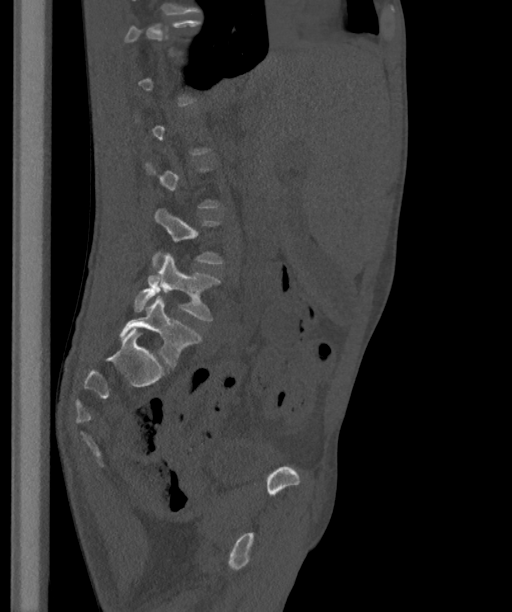
CT; sagittal view; the image spans 363 mm across. Each row gives a vertebra's box as x1, y1, x2, y2 in pixels: top-left corner, then bottom-right corner.
Not every vertebra on this slice has a box: a vertebra is boxed only from the first to the last slice where its cross-section is at least a third of its largest, and this slice is outside that range for at least one of them.
The labels name a sixth lumbar vertebra for this spine: L6, after L5.
| vertebra | x1 | y1 | x2 | y2 |
|---|---|---|---|---|
| L4 | 152 | 208 | 223 | 266 |
| L5 | 133 | 253 | 220 | 320 |
| L6 | 119 | 296 | 202 | 367 |